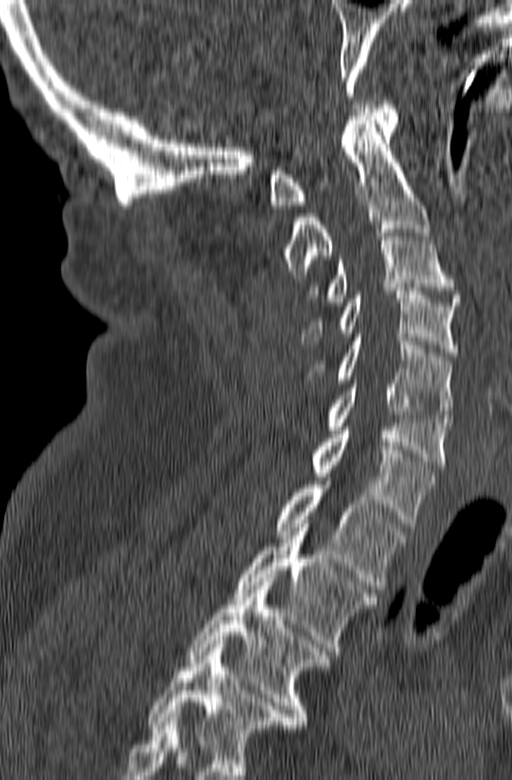
Spine CT · sagittal reformat · image 165 mm wide

Each row gives a vertebra's box as x1, y1, x2, y2 in pixels: top-left corner, then bottom-right corner.
In this scan, the topmost labeled vertebra is C1 and the lowest is T3.
| vertebra | x1 | y1 | x2 | y2 |
|---|---|---|---|---|
| C1 | 268 | 101 | 397 | 208 |
| C2 | 277 | 116 | 431 | 278 |
| C3 | 305 | 229 | 461 | 305 |
| C4 | 301 | 287 | 459 | 356 |
| C5 | 304 | 334 | 453 | 418 |
| C6 | 324 | 380 | 451 | 468 |
| C7 | 308 | 427 | 434 | 527 |
| T1 | 274 | 481 | 407 | 592 |
| T2 | 234 | 524 | 377 | 658 |
| T3 | 186 | 578 | 329 | 728 |